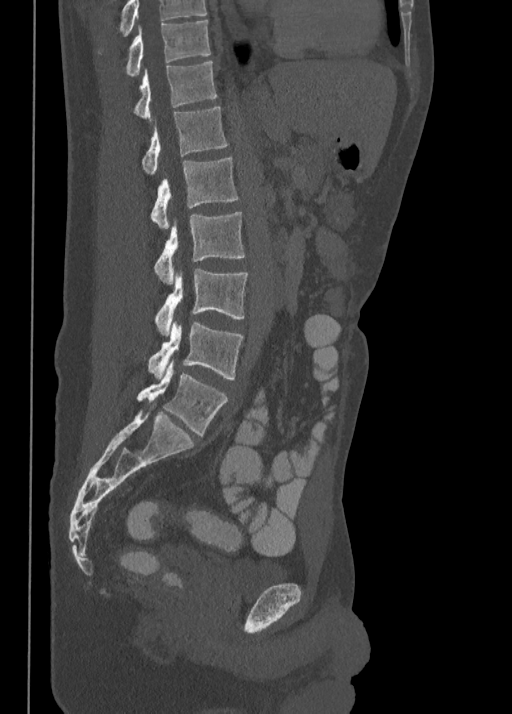 CT · sagittal view · W/L 1800/400 HU
Each box given as x1,y1,x2,y2.
Labels in this scan begin with T10 at the top and end with L5 at the bottom.
Vertebra bounding boxes:
- L5: x1=137, y1=359, x2=227, y2=436
- L4: x1=148, y1=320, x2=243, y2=379
- L3: x1=155, y1=269, x2=247, y2=335
- L2: x1=153, y1=212, x2=245, y2=283
- L1: x1=150, y1=157, x2=237, y2=228
- T12: x1=142, y1=107, x2=227, y2=175
- T11: x1=134, y1=61, x2=217, y2=120
- T10: x1=127, y1=20, x2=211, y2=75